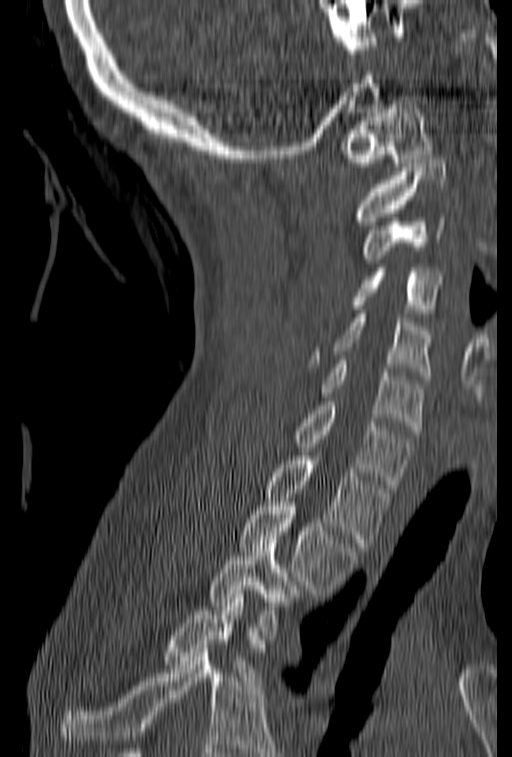
CT; sagittal reformat; bone window; 512x757 px

Bounding boxes as [x1, y1, x2, y2] in pixel coordinates. Where the bottom of the scan cuts through a vertebra, that vertebra gets no label or box. Vertebrae labeled: C1 at [340, 100, 432, 166], C2 at [353, 159, 445, 225], C3 at [362, 213, 445, 263], C4 at [349, 268, 442, 317], C5 at [307, 314, 432, 380], C6 at [319, 360, 425, 434], C7 at [292, 397, 412, 488], T1 at [266, 452, 392, 547], T2 at [239, 502, 358, 593], T3 at [208, 535, 297, 639], T4 at [162, 590, 261, 685].